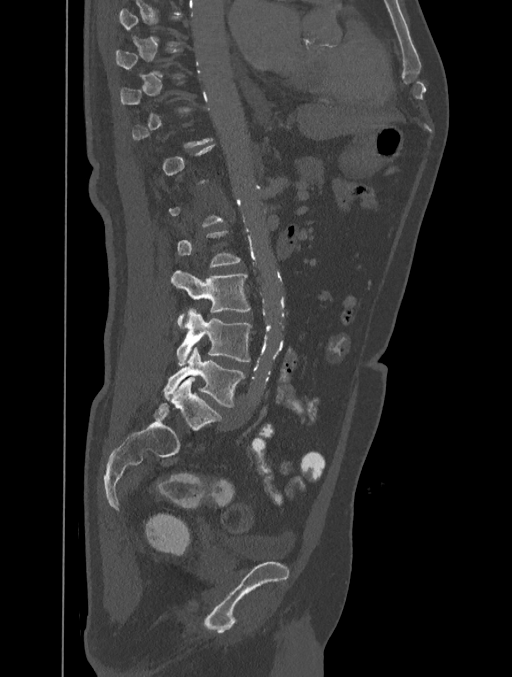 Computed tomography of the spine. sagittal view
Boxes are (x1, y1, x2, y2) in pixels.
Each vertebra is boxed only on the slices from the first to the last where its cross-section reaches a third of its largest, so a slice outside that range leaves it unboxed.
L3: (171, 271, 250, 327)
L4: (176, 308, 250, 366)
L5: (163, 347, 244, 407)